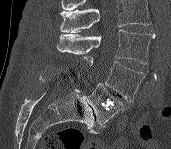

Spine CT · sagittal view · W/L 1800/400 HU · image 171 mm wide
Where the top of the scan cuts through a vertebra, that vertebra gets no label or box.
<vertebrae><v name="L3" x1="56" y1="29" x2="154" y2="64"/><v name="L4" x1="81" y1="56" x2="146" y2="102"/><v name="L5" x1="83" y1="83" x2="125" y2="126"/></vertebrae>